Spine computed tomography; sagittal reformat; scan covers 6 annotated vertebrae; 152 mm image width
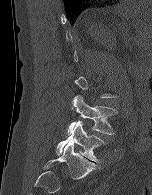 Box edges are left/top/right/bottom in pixels.
A vertebra gets a box only on the slices from the first to the last where its cross-section is at least a third of its largest; on a slice outside that range it gets none.
| vertebra | x1 | y1 | x2 | y2 |
|---|---|---|---|---|
| L4 | 67 | 95 | 117 | 135 |
| L5 | 56 | 120 | 105 | 162 |